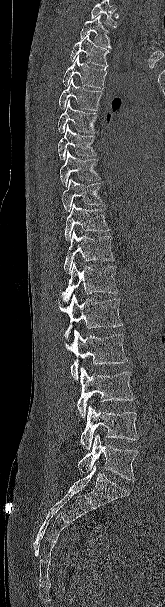
Spine computed tomography. the image is 165 mm wide. sagittal view. Bone window (WL 400, WW 1800). 165x607 px

Each box given as x1,y1,x2,y2.
Vertebrae that run past the top of the scan are left unlabeled.
T2: x1=80, y1=15, x2=111, y2=48
T3: x1=70, y1=34, x2=110, y2=68
T4: x1=62, y1=55, x2=107, y2=88
T5: x1=58, y1=78, x2=103, y2=110
T6: x1=58, y1=100, x2=98, y2=133
T7: x1=58, y1=124, x2=97, y2=160
T8: x1=60, y1=150, x2=100, y2=186
T9: x1=61, y1=178, x2=104, y2=212
T10: x1=64, y1=203, x2=110, y2=241
T11: x1=64, y1=230, x2=115, y2=273
T12: x1=60, y1=261, x2=118, y2=305
L1: x1=59, y1=295, x2=123, y2=340
L2: x1=65, y1=330, x2=128, y2=381
L3: x1=77, y1=367, x2=135, y2=420
L4: x1=80, y1=405, x2=138, y2=450
L5: x1=77, y1=434, x2=139, y2=481